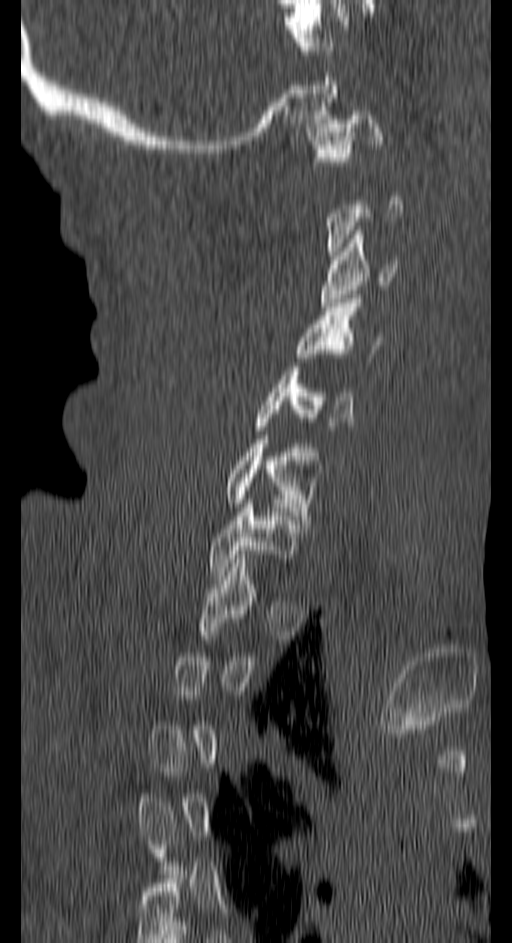 CT, spine — sagittal view — 512x943 px — the image is 150 mm wide. Boxes are (x1, y1, x2, y2) in pixels.
Each vertebra is boxed only on the slices from the first to the last where its cross-section reaches a third of its largest, so a slice outside that range leaves it unboxed.
C1: (307, 111, 383, 165)
C3: (321, 230, 396, 306)
C4: (295, 299, 380, 366)
C5: (254, 371, 353, 430)
C6: (223, 439, 321, 524)
C7: (209, 503, 298, 575)